CT. sagittal reformat. bone-window reconstruction
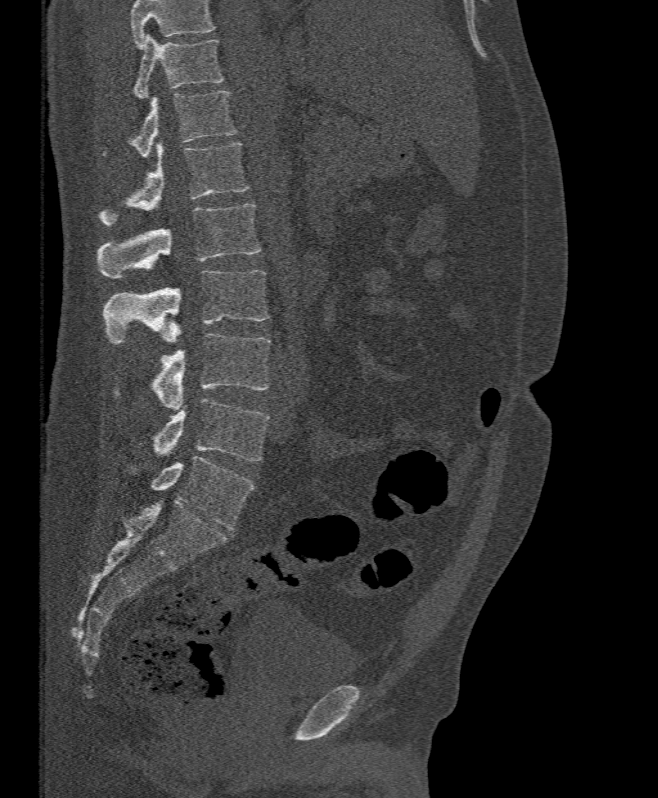

Boxes are (x1, y1, x2, y2) in pixels.
No box is given to a vertebra that the top edge of the scan cuts off.
T11: (134, 35, 224, 97)
T12: (102, 90, 237, 157)
L1: (98, 143, 248, 226)
L2: (98, 203, 260, 277)
L3: (103, 270, 269, 344)
L4: (152, 333, 270, 411)
L5: (153, 398, 269, 461)